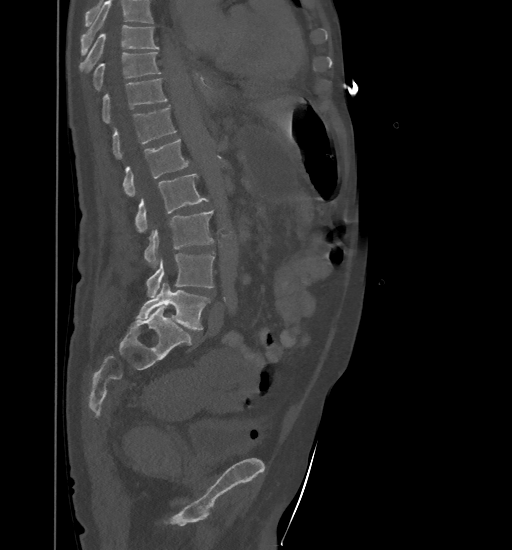

CT. sagittal reformat. Bone window (WL 400, WW 1800). 512x550 px
Boxes are (x1, y1, x2, y2) in pixels. No box is given to a vertebra that the top edge of the scan cuts off. The labeled vertebrae in this slice are: T9 at (80, 25, 159, 71), T10 at (93, 52, 161, 90), T11 at (102, 78, 167, 122), T12 at (112, 106, 177, 158), L1 at (123, 139, 189, 196), L2 at (135, 173, 208, 232), L3 at (145, 210, 213, 268), L4 at (146, 253, 214, 297), L5 at (136, 282, 210, 330).